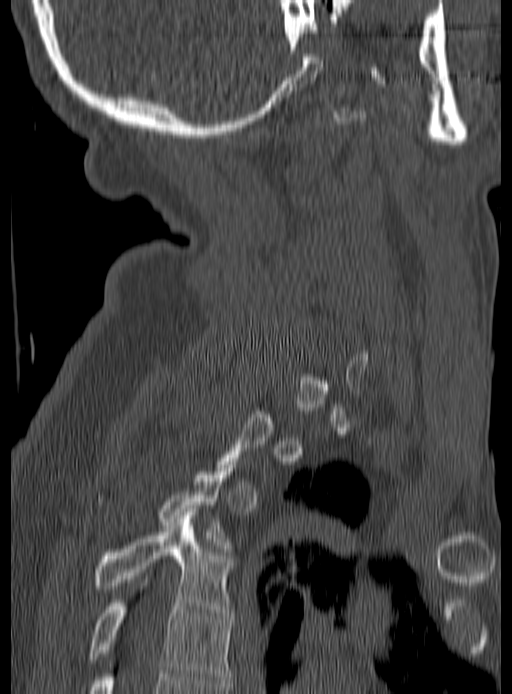

Spine computed tomography · sagittal view · W/L 1800/400 HU · 512x694 px. Boxes: x1 y1 x2 y2 (pixel coords, space-separated).
A vertebra gets a box only on the slices from the first to the last where its cross-section is at least a third of its largest; on a slice outside that range it gets none.
Vertebra bounding boxes:
- T4: 92 512 232 615
- T5: 87 579 232 683